CT, spine — sagittal view — bone-window reconstruction — 10 vertebrae labeled in this scan
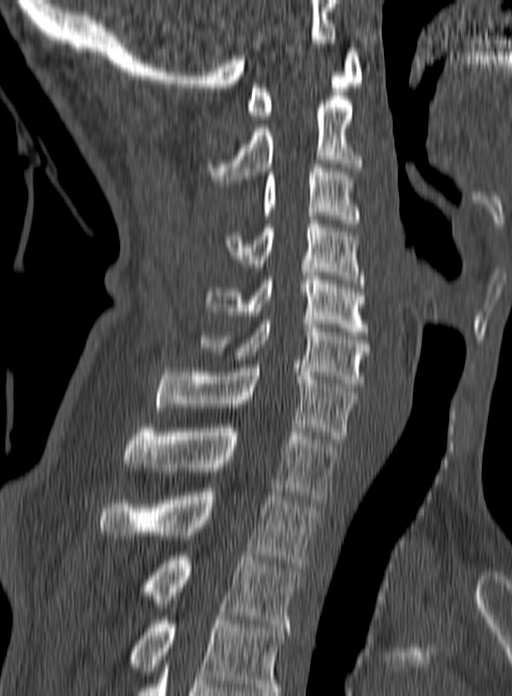
Bounding boxes as [x1, y1, x2, y2] in pixel coordinates. The highest labeled vertebra in this scan is C1; the lowest is T3. The labeled vertebrae in this slice are: C1 at [246, 48, 363, 119], C2 at [206, 100, 362, 183], C3 at [260, 164, 360, 223], C4 at [225, 220, 365, 287], C5 at [206, 276, 368, 335], C6 at [201, 320, 370, 387], C7 at [155, 364, 356, 443], T1 at [124, 424, 339, 499], T2 at [100, 492, 317, 567], T3 at [142, 552, 301, 627].